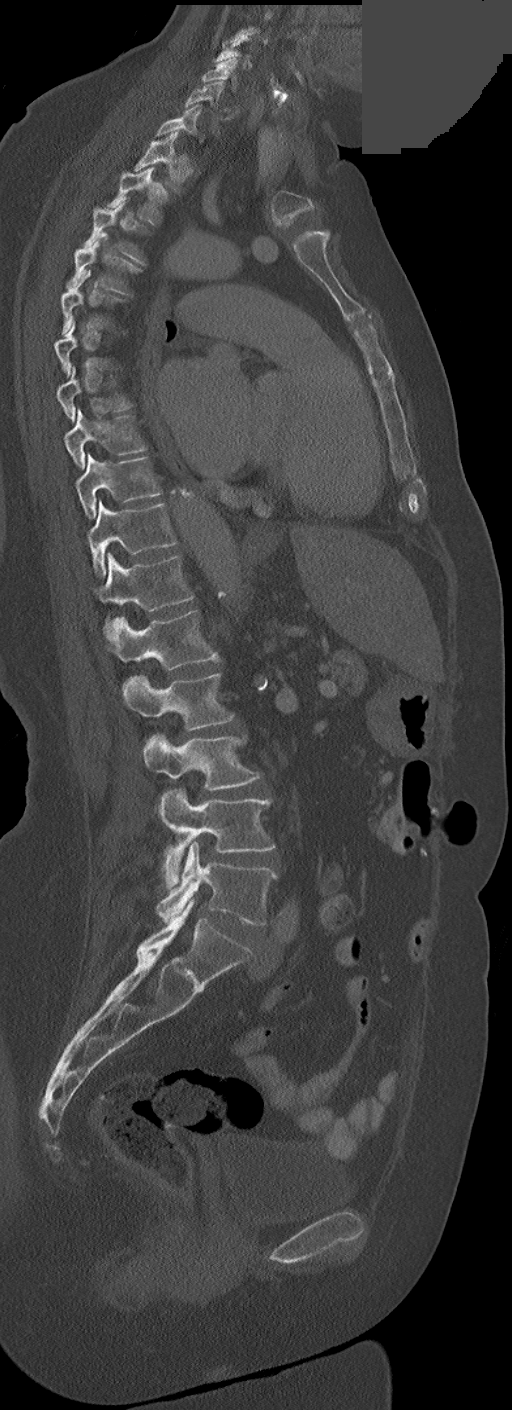
Spine computed tomography · sagittal view · W/L 1800/400 HU · part of the image has been replaced by a constant value

Box edges are left/top/right/bottom in pixels.
A vertebra is boxed only from the first to the last slice where its cross-section is at least a third of its largest; slices outside that range leave it without a box.
In these labels the spine has no T12: the thoracic vertebrae end at T11, and L1 comes next.
L5: left=157, top=842, right=276, bottom=924
L4: left=159, top=789, right=276, bottom=889
L3: left=143, top=734, right=260, bottom=790
L2: left=122, top=673, right=233, bottom=731
L1: left=108, top=610, right=219, bottom=670
T11: left=98, top=553, right=193, bottom=635
T10: left=88, top=502, right=176, bottom=577
T9: left=76, top=456, right=160, bottom=520
T8: left=64, top=409, right=146, bottom=469
T7: left=57, top=367, right=132, bottom=422
T4: left=66, top=237, right=141, bottom=294
T3: left=84, top=202, right=146, bottom=264
T2: left=108, top=167, right=166, bottom=225
T1: left=134, top=132, right=184, bottom=190
C7: left=155, top=104, right=201, bottom=137
C6: left=185, top=81, right=233, bottom=119
C5: left=202, top=58, right=237, bottom=89
C4: left=213, top=36, right=251, bottom=67